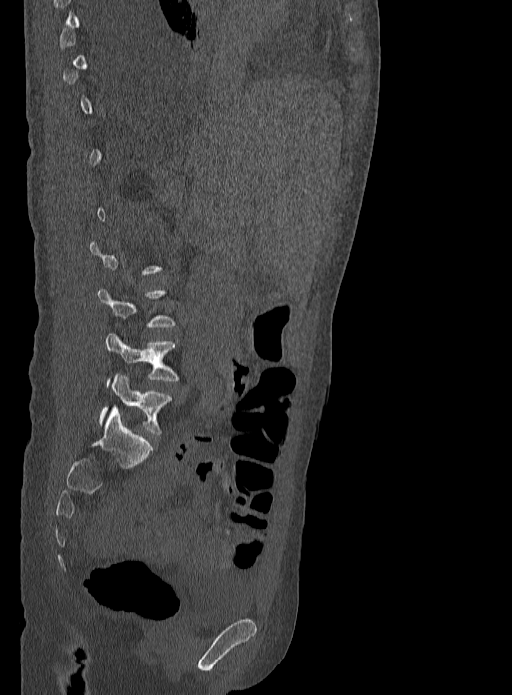
CT spine · sagittal view · bone window · 512x695 px
Each vertebra maps to its box as [x1, y1, x2, y2], the pixel coordinates of its top-left and bottom-right corners.
Not every vertebra on this slice has a box: a vertebra is boxed only from the first to the last slice where its cross-section is at least a third of its largest, and this slice is outside that range for at least one of them.
{"vertebrae":{"L5":[100,374,171,434],"L4":[106,332,177,386]}}